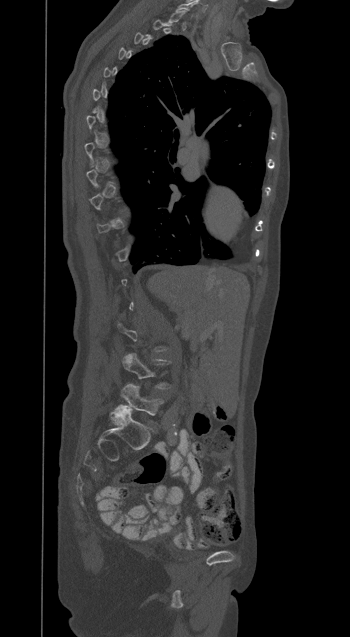
CT spine — sagittal view — image width 350 mm
Box values are [left, top, right, bottom] in pixels.
Each vertebra is boxed only on the slices from the first to the last where its cross-section reaches a third of its largest, so a slice outside that range leaves it unboxed.
{"vertebrae":{"L4":[123,353,170,388],"L5":[121,384,163,415]}}